Computed tomography of the spine · sagittal reformat · W/L 1800/400 HU · 512x919 px · 149 mm image width
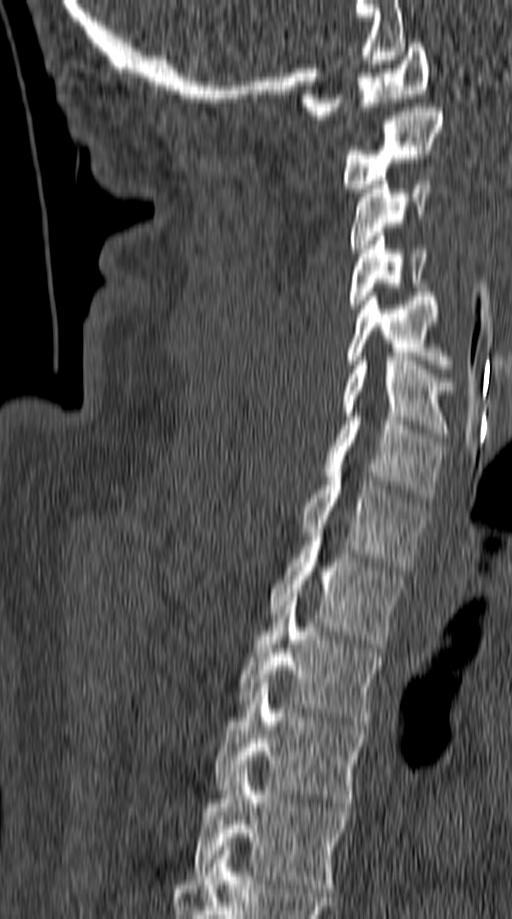

Each box is [x1, y1, x2, y2] in pixels: top-left corner, then bottom-right corner.
{"vertebrae":{"T5":[191,769,347,892],"T4":[214,683,364,807],"T3":[238,597,382,725],"T2":[269,533,402,648],"T1":[298,468,426,570],"C7":[324,412,444,502],"C6":[341,357,456,437],"C5":[347,292,450,368],"C4":[348,232,428,308],"C3":[348,180,431,252],"C2":[341,103,443,188],"C1":[301,43,429,119]}}